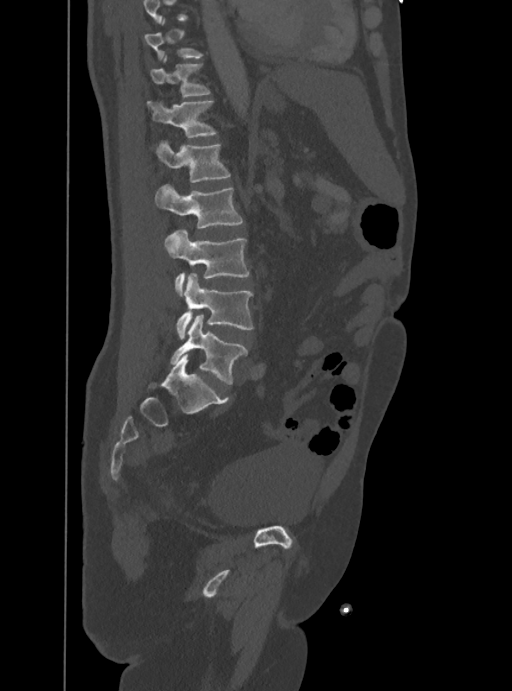

CT, spine. sagittal view. Bone window (WL 400, WW 1800). 512x691 px

Boxes are (x1, y1, x2, y2) in pixels.
Vertebrae that run past the top of the scan are left unlabeled.
Vertebra bounding boxes:
- T10: (145, 17, 203, 61)
- T11: (150, 53, 210, 96)
- T12: (146, 100, 218, 138)
- L1: (149, 139, 231, 182)
- L2: (154, 183, 243, 228)
- L3: (165, 228, 250, 296)
- L4: (177, 273, 254, 337)
- L5: (171, 315, 247, 384)